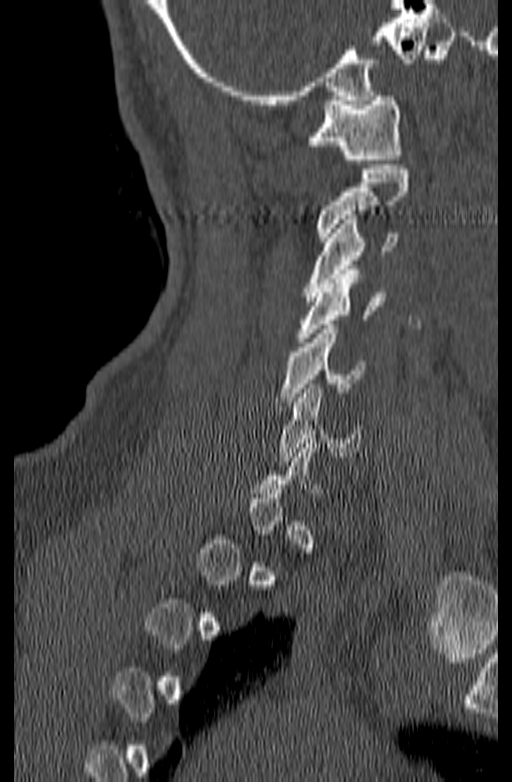

CT · sagittal reformat · 140 mm across the image · 512x782 px

Each vertebra maps to its box as [x1, y1, x2, y2], the pixel coordinates of its top-left and bottom-right corners.
A vertebra is boxed only from the first to the last slice where its cross-section is at least a third of its largest; slices outside that range leave it without a box.
{"vertebrae":{"C1":[306,91,404,164],"C2":[316,165,408,241],"C3":[305,215,399,301],"C4":[295,270,385,342],"C5":[276,325,366,406],"C6":[279,384,361,461]}}